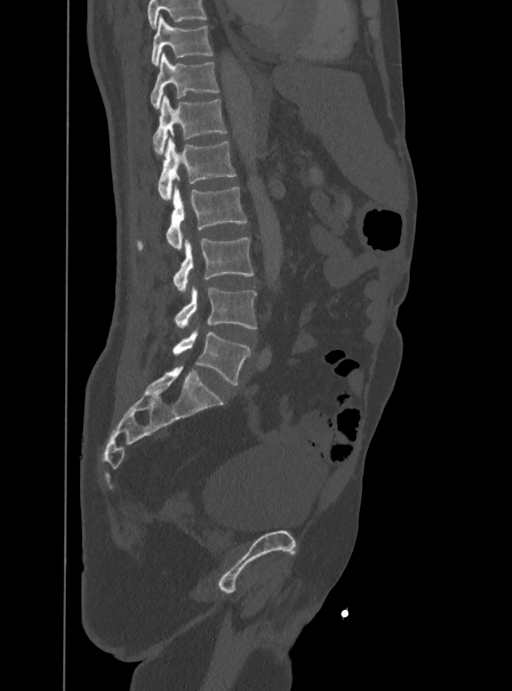 CT spine. sagittal reformat. Bone window (WL 400, WW 1800)
Each vertebra maps to its box as [x1, y1, x2, y2], the pixel coordinates of its top-left and bottom-right corners.
Where the top of the scan cuts through a vertebra, that vertebra gets no label or box.
{"vertebrae":{"T10":[152,15,213,64],"T11":[150,52,219,108],"T12":[153,95,226,155],"L1":[158,137,236,200],"L2":[137,186,247,250],"L3":[173,238,254,290],"L4":[174,287,256,329],"L5":[173,331,250,385]}}